Spine CT; Sagittal slice 154/250; Bone window (WL 400, WW 1800); 250x571 px; 18 vertebrae labeled in this scan
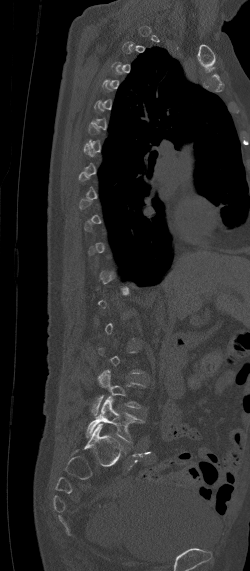
Boxes below are [x1, y1, x2, y2] in pixels.
Not every vertebra on this slice has a box: a vertebra is boxed only from the first to the last slice where its cross-section is at least a third of its largest, and this slice is outside that range for at least one of them.
{"vertebrae":{"L4":[89,369,145,415],"L5":[85,396,145,441]}}